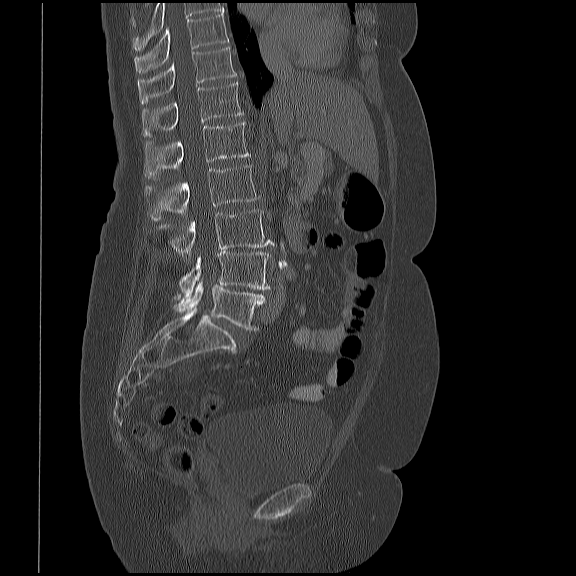 CT, spine · sagittal view · bone window

Boxes: x1 y1 x2 y2 (pixel coords, space-separated).
Vertebra bounding boxes:
- T10: 134 12 229 72
- T11: 138 46 236 104
- T12: 142 82 243 136
- L1: 143 122 250 180
- L2: 145 164 259 221
- L3: 161 209 274 255
- L4: 175 252 270 299
- L5: 174 281 265 331